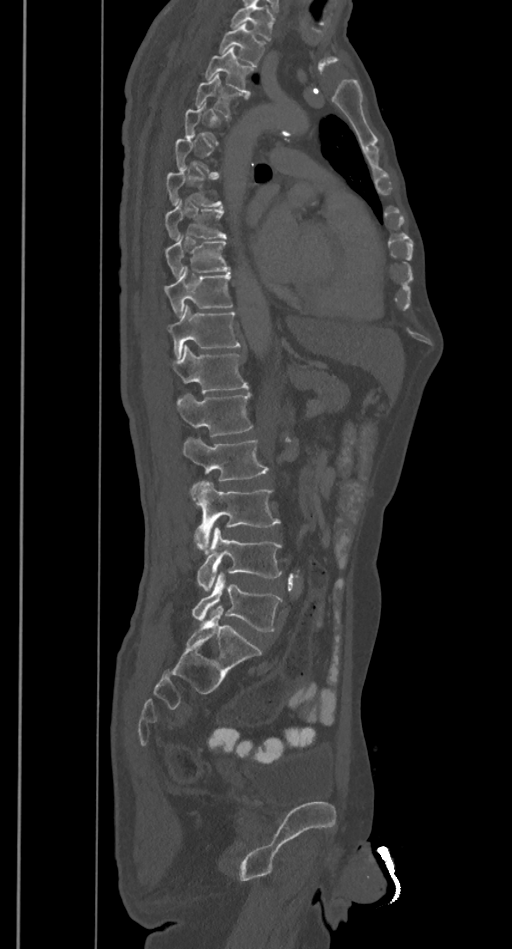 CT, spine; 385 mm wide; sagittal view
Each vertebra maps to its box as [x1, y1, x2, y2], the pixel coordinates of its top-left and bottom-right corners.
Not every vertebra on this slice has a box: a vertebra is boxed only from the first to the last slice where its cross-section is at least a third of its largest, and this slice is outside that range for at least one of them.
Where the top of the scan cuts through a vertebra, that vertebra gets no label or box.
{"vertebrae":{"L5":[191,573,282,632],"L4":[197,528,282,590],"L3":[190,481,279,553],"L2":[182,437,267,481],"L1":[175,394,253,436],"T12":[173,346,248,393],"T11":[167,304,241,358],"T10":[163,268,233,316],"T9":[165,236,230,278],"T8":[165,199,226,240],"T7":[166,168,222,206],"T4":[195,74,241,115],"T3":[205,48,254,91],"T2":[219,24,265,65]}}